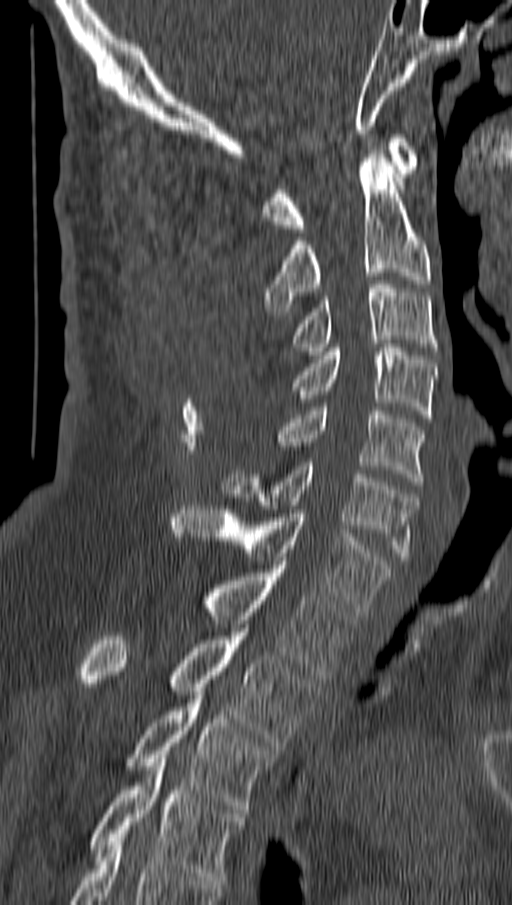
CT, spine · sagittal view · the image is 162 mm wide · 512x905 px
Box values are [left, top, right, bottom] in pixels.
{"vertebrae":{"C1":[263,134,418,232],"C2":[263,150,430,315],"C3":[292,280,437,355],"C4":[292,344,436,422],"C5":[273,407,424,485],"C6":[222,462,417,560],"C7":[172,506,389,615],"T1":[203,565,354,679],"T2":[80,628,316,750],"T3":[124,695,275,813],"T4":[90,759,243,884]}}